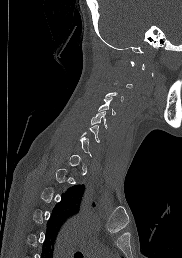 CT. sagittal reformat. image width 182 mm
Each vertebra maps to its box as [x1, y1, x2, y2], the pixel coordinates of its top-left and bottom-right corners.
Not every vertebra on this slice has a box: a vertebra is boxed only from the first to the last slice where its cross-section is at least a third of its largest, and this slice is outside that range for at least one of them.
{"vertebrae":{"C4":[98,97,116,114],"C5":[90,111,108,128],"C6":[81,125,100,142]}}